Computed tomography of the spine. sagittal plane, index 327. bone-window reconstruction. 512x789 px
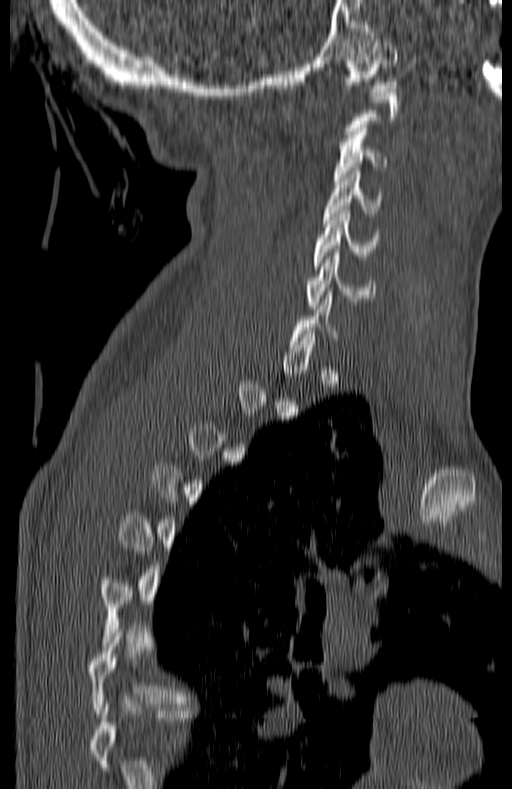 Each box given as x1,y1,x2,y2.
A vertebra gets a box only on the slices from the first to the last where its cross-section is at least a third of its largest; on a slice outside that range it gets none.
Vertebra bounding boxes:
- C1: x1=345, y1=43, x2=398, y2=91
- C3: x1=334, y1=128, x2=387, y2=184
- C4: x1=323, y1=171, x2=383, y2=219
- C5: x1=314, y1=210, x2=378, y2=269
- C6: x1=308, y1=249, x2=375, y2=308